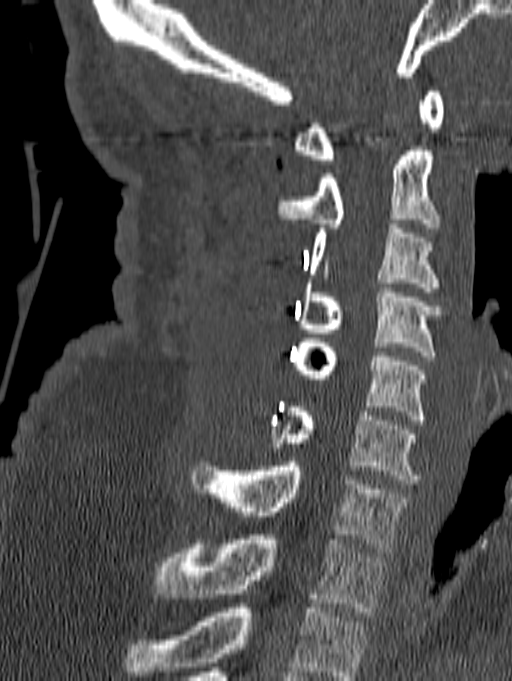
CT — sagittal view — 512x681 px — image 140 mm wide
Box edges are left/top/right/bottom in pixels.
This scan's labels start at C1 at the top and end at T1 at the bottom.
C1: left=294, top=87, right=444, bottom=164
C2: left=276, top=146, right=439, bottom=232
C3: left=309, top=224, right=439, bottom=292
C4: left=298, top=283, right=450, bottom=360
C5: left=290, top=338, right=426, bottom=424
C6: left=268, top=407, right=418, bottom=484
C7: left=192, top=462, right=406, bottom=552
T1: left=155, top=535, right=385, bottom=616